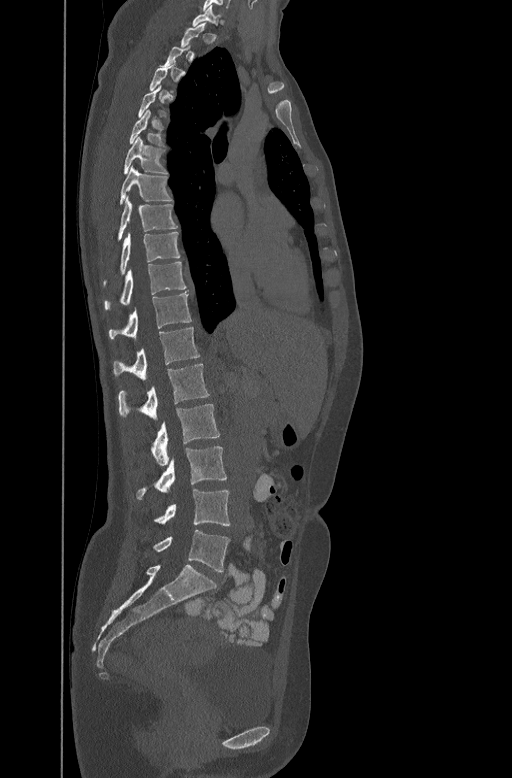
CT, spine — sagittal view — W/L 1800/400 HU — 447 mm image width

A vertebra is boxed only from the first to the last slice where its cross-section is at least a third of its largest; slices outside that range leave it without a box.
<vertebrae><v name="C7" x1="192" y1="6" x2="223" y2="25"/><v name="T5" x1="129" y1="108" x2="163" y2="144"/><v name="T6" x1="124" y1="135" x2="167" y2="173"/><v name="T7" x1="119" y1="165" x2="172" y2="203"/><v name="T8" x1="118" y1="196" x2="178" y2="238"/><v name="T9" x1="104" y1="231" x2="180" y2="282"/><v name="T10" x1="104" y1="261" x2="186" y2="309"/><v name="T11" x1="109" y1="292" x2="191" y2="339"/><v name="T12" x1="113" y1="326" x2="199" y2="378"/><v name="L1" x1="118" y1="363" x2="209" y2="420"/><v name="L2" x1="151" y1="404" x2="220" y2="465"/><v name="L3" x1="137" y1="446" x2="227" y2="499"/><v name="L4" x1="155" y1="489" x2="230" y2="526"/><v name="L5" x1="153" y1="530" x2="229" y2="572"/></vertebrae>